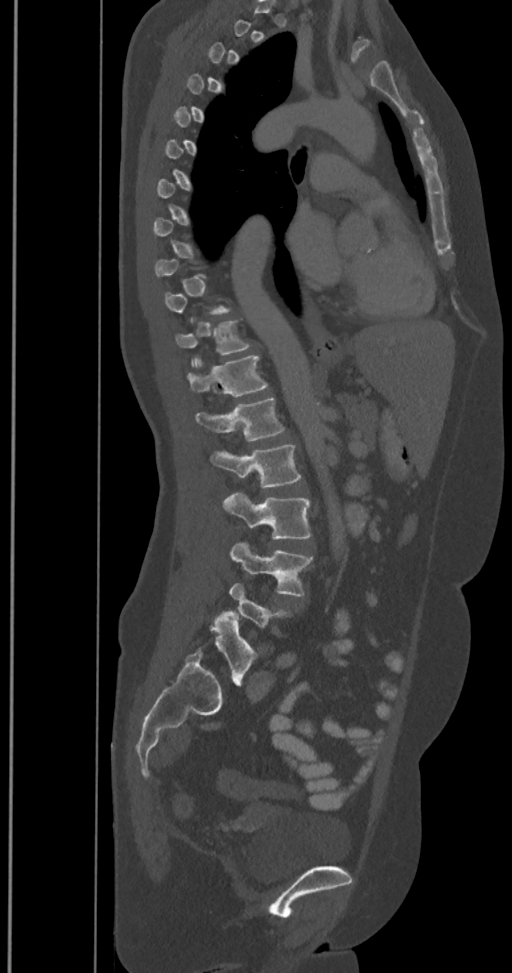

Computed tomography of the spine; the image spans 350 mm across; sagittal view; Bone window (WL 400, WW 1800); 512x973 px

Box values are [left, top, right, bottom] in pixels.
Not every vertebra on this slice has a box: a vertebra is boxed only from the first to the last slice where its cross-section is at least a third of its largest, and this slice is outside that range for at least one of them.
The labels name a sixth lumbar vertebra for this spine: L6, after L5.
{"vertebrae":{"T11":[175,321,249,354],"T12":[187,355,268,397],"L1":[196,398,284,441],"L2":[210,444,302,487],"L3":[224,492,310,539],"L4":[231,542,312,597],"L6":[196,612,255,684]}}